CT · sagittal plane, index 218 · 10 vertebrae labeled in this scan
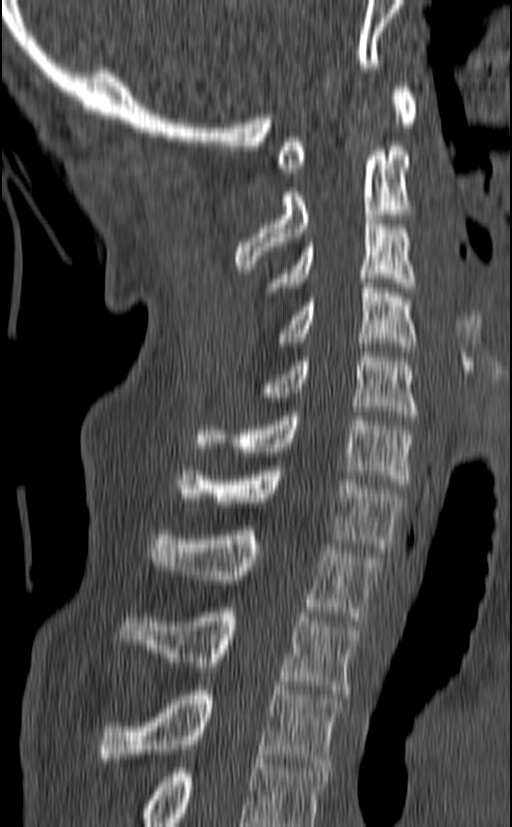

In this scan, the topmost labeled vertebra is C1 and the lowest is T3.
<vertebrae><v name="C1" x1="277" y1="82" x2="417" y2="173"/><v name="C2" x1="235" y1="146" x2="416" y2="269"/><v name="C3" x1="266" y1="219" x2="415" y2="292"/><v name="C4" x1="279" y1="283" x2="417" y2="351"/><v name="C5" x1="259" y1="352" x2="418" y2="420"/><v name="C6" x1="195" y1="411" x2="414" y2="488"/><v name="C7" x1="177" y1="466" x2="403" y2="552"/><v name="T1" x1="149" y1="530" x2="381" y2="621"/><v name="T2" x1="118" y1="608" x2="359" y2="694"/><v name="T3" x1="96" y1="686" x2="342" y2="767"/></vertebrae>